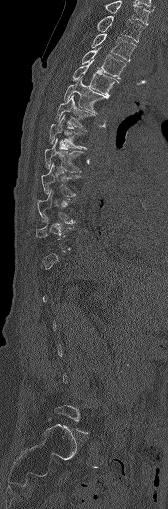 Spine computed tomography; sagittal view
Boxes: x1:y1:x2:y2 in pixels.
Each vertebra is boxed only on the slices from the first to the last where its cross-section reaches a third of its largest, so a slice outside that range leaves it unboxed.
C7: 105:0:150:24
T1: 97:15:143:42
T2: 91:33:136:61
T3: 82:49:126:78
T4: 72:59:118:97
T5: 63:78:107:113
T6: 55:95:95:129
T7: 48:115:84:148
T8: 44:138:84:172
T9: 41:163:80:196
T10: 37:189:74:222